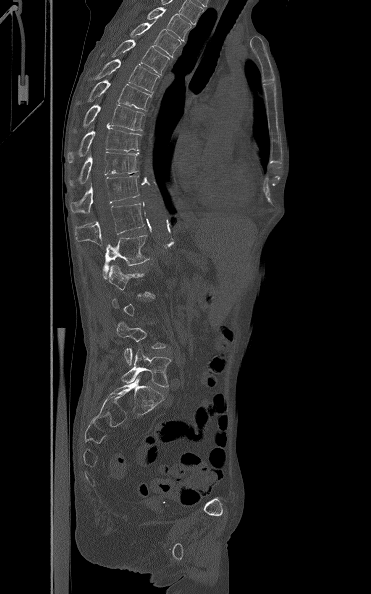

Spine computed tomography · sagittal view · W/L 1800/400 HU
Each row gives a vertebra's box as x1, y1, x2, y2 in pixels: top-left corner, then bottom-right corner.
Each vertebra is boxed only on the slices from the first to the last where its cross-section reaches a third of its largest, so a slice outside that range leaves it unboxed.
| vertebra | x1 | y1 | x2 | y2 |
|---|---|---|---|---|
| T3 | 147 | 7 | 191 | 40 |
| T4 | 130 | 20 | 181 | 57 |
| T5 | 100 | 39 | 169 | 75 |
| T6 | 93 | 59 | 159 | 93 |
| T7 | 78 | 80 | 151 | 110 |
| T8 | 82 | 104 | 144 | 130 |
| T9 | 68 | 128 | 140 | 162 |
| T10 | 69 | 152 | 139 | 186 |
| T11 | 69 | 175 | 139 | 213 |
| T12 | 74 | 203 | 144 | 245 |
| L1 | 102 | 229 | 151 | 279 |
| L4 | 116 | 322 | 166 | 365 |
| L5 | 122 | 349 | 171 | 387 |